Spine computed tomography — sagittal view — W/L 1800/400 HU
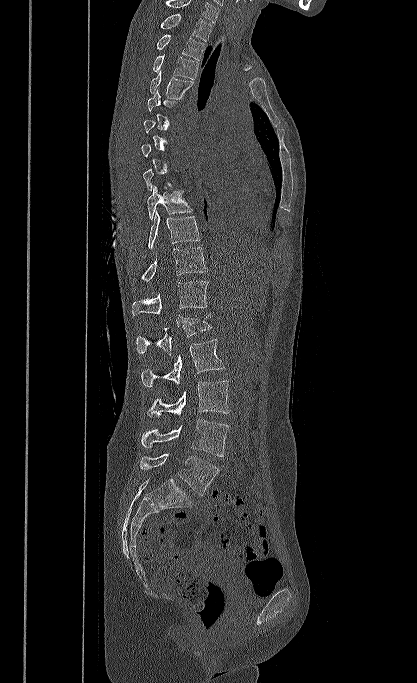 Each vertebra maps to its box as [x1, y1, x2, y2], the pixel coordinates of its top-left and bottom-right corners.
Not every vertebra on this slice has a box: a vertebra is boxed only from the first to the last slice where its cross-section is at least a third of its largest, and this slice is outside that range for at least one of them.
The highest labeled vertebra in this scan is T1; the lowest is L5.
{"vertebrae":{"T1":[159,14,212,41],"T2":[156,34,205,60],"T3":[152,55,198,79],"T4":[150,70,193,99],"T9":[147,185,193,220],"T10":[148,211,200,249],"T11":[133,247,207,282],"T12":[132,281,208,315],"L1":[136,314,211,355],"L2":[141,339,224,386],"L3":[146,380,229,417],"L4":[141,419,228,456],"L5":[140,454,219,495]}}